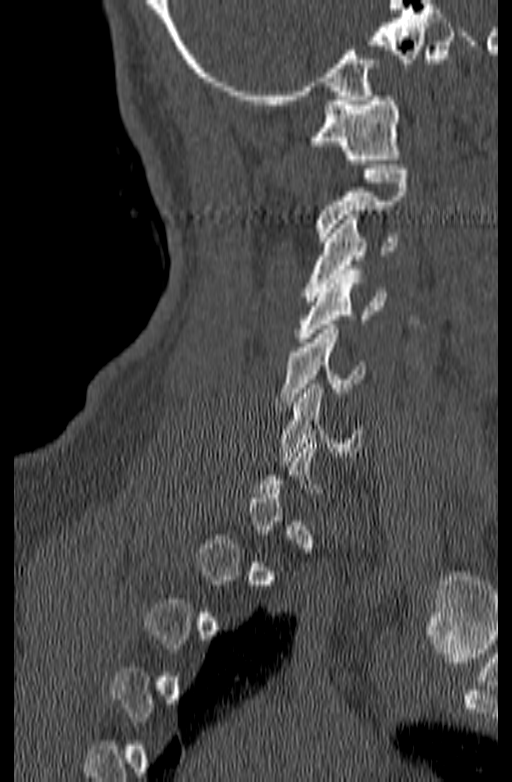

CT spine · sagittal view · 512x782 px
Each box given as x1,y1,x2,y2.
A vertebra gets a box only on the slices from the first to the last where its cross-section is at least a third of its largest; on a slice outside that range it gets none.
C1: x1=307, y1=96, x2=401, y2=164
C2: x1=316, y1=165, x2=407, y2=241
C3: x1=305, y1=215, x2=399, y2=301
C4: x1=296, y1=270, x2=386, y2=342
C5: x1=276, y1=325, x2=366, y2=406
C6: x1=279, y1=384, x2=362, y2=461